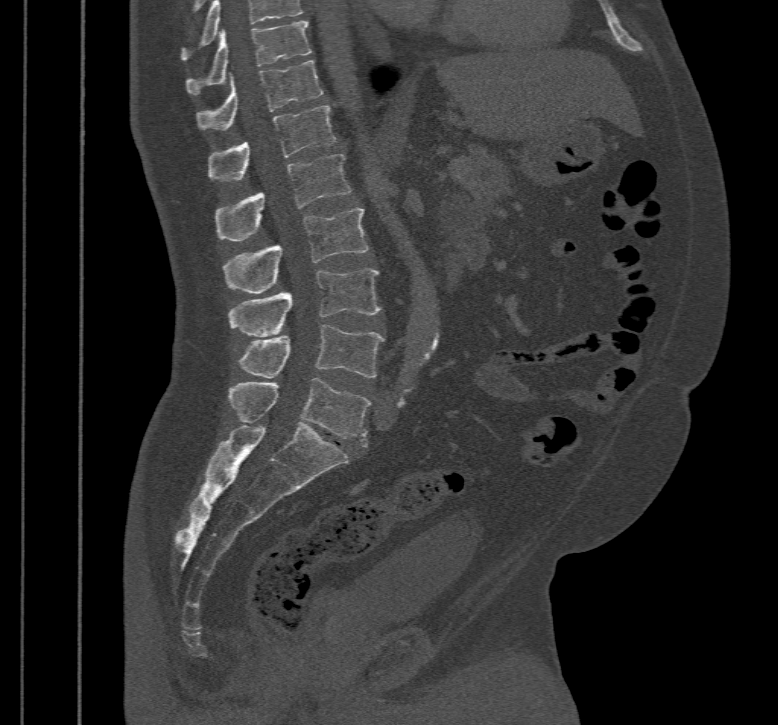

CT spine. sagittal reformat. image 467 mm wide

Columns x1, y1, x2, y2 give each box's top-left and bottom-right pixels.
Labels in this scan begin with T10 at the top and end with L5 at the bottom.
| vertebra | x1 | y1 | x2 | y2 |
|---|---|---|---|---|
| L5 | 228 | 377 | 370 | 447 |
| L4 | 239 | 324 | 385 | 378 |
| L3 | 228 | 268 | 381 | 336 |
| L2 | 223 | 209 | 368 | 293 |
| L1 | 214 | 154 | 350 | 241 |
| T12 | 208 | 105 | 335 | 181 |
| T11 | 196 | 60 | 323 | 129 |
| T10 | 187 | 20 | 311 | 94 |